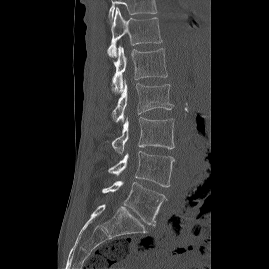

Computed tomography of the spine; sagittal view; Bone window (WL 400, WW 1800)
Boxes: x1 y1 x2 y2 (pixel coords, space-separated).
L5: 102 180 166 225
L4: 108 151 174 187
L3: 111 116 174 154
L2: 112 80 174 122
L1: 112 45 167 92
T12: 107 7 162 57